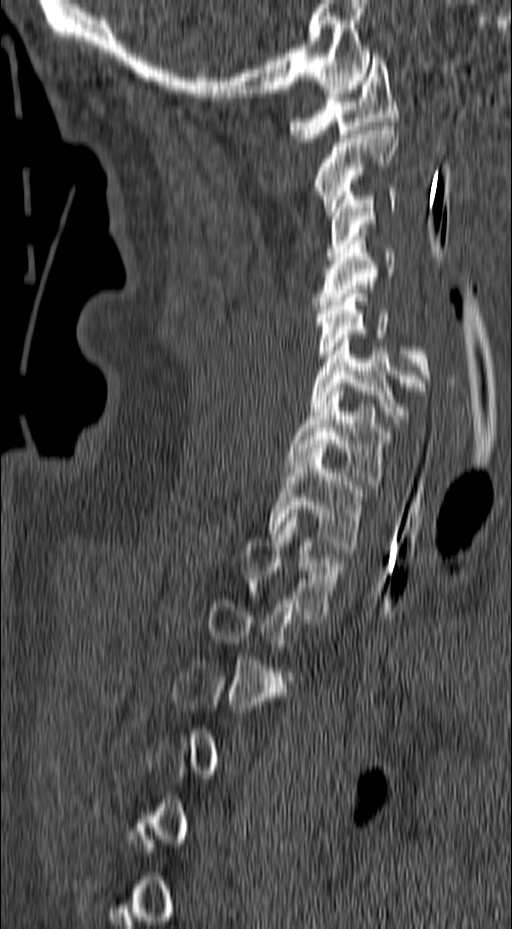 Spine computed tomography — image 157 mm wide — sagittal view — W/L 1800/400 HU — 512x929 px
Box edges are left/top/right/bottom in pixels. A vertebra gets a box only on the slices from the first to the last where its cross-section is at least a third of its largest; on a slice outside that range it gets none. Vertebrae labeled: C1 at left=288, top=57, right=398, bottom=142, C2 at left=314, top=126, right=398, bottom=215, C3 at left=326, top=188, right=398, bottom=256, C4 at left=312, top=236, right=410, bottom=313, C5 at left=315, top=289, right=432, bottom=386, C6 at left=311, top=334, right=425, bottom=423, C7 at left=288, top=387, right=398, bottom=488, T1 at left=269, top=448, right=365, bottom=549, T2 at left=242, top=514, right=346, bottom=619.